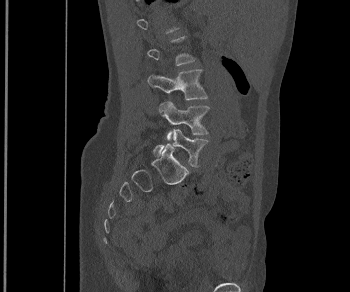

CT spine · sagittal view
Each vertebra is boxed only on the slices from the first to the last where its cross-section reaches a third of its largest, so a slice outside that range leaves it unboxed.
<vertebrae><v name="L3" x1="147" y1="69" x2="207" y2="99"/><v name="L4" x1="158" y1="101" x2="209" y2="139"/><v name="L5" x1="153" y1="129" x2="208" y2="167"/></vertebrae>